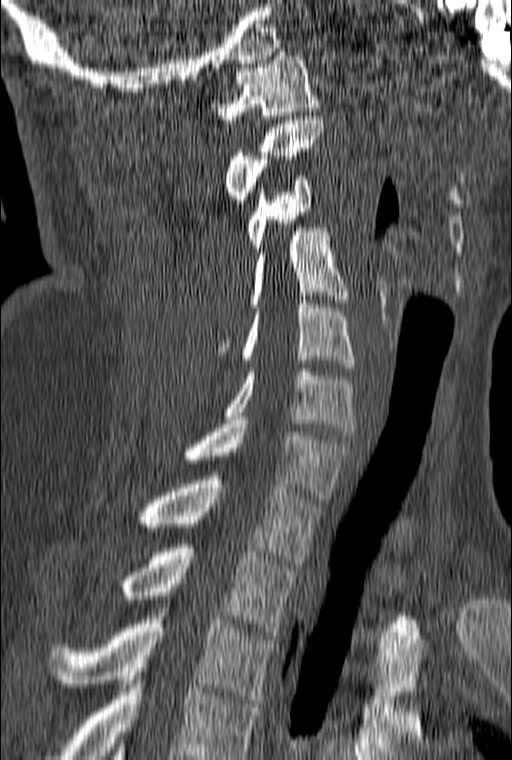 CT spine; sagittal view; 160 mm across the image
Box values are [left, top, right, bottom] in pixels.
This scan's labels start at C1 at the top and end at T3 at the bottom.
{"vertebrae":{"C1":[210,52,319,123],"C2":[224,116,323,207],"C3":[246,176,313,251],"C4":[217,228,349,355],"C5":[243,300,355,371],"C6":[224,368,355,435],"C7":[184,420,349,499],"T1":[134,472,320,563],"T2":[116,544,295,635],"T3":[49,604,275,703]}}